CT, spine · sagittal view · Bone window (WL 400, WW 1800) · 210x183 px · part of the image is constant black where the scan was masked
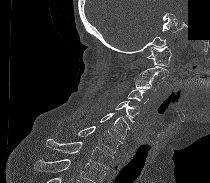 Box edges are left/top/right/bottom in pixels.
Vertebrae that run past the bottom of the scan are left unlabeled.
C1: left=147, top=46, right=171, bottom=66
C2: left=133, top=66, right=168, bottom=78
C3: left=133, top=78, right=159, bottom=90
C4: left=127, top=88, right=148, bottom=103
C5: left=115, top=100, right=139, bottom=123
C6: left=100, top=113, right=130, bottom=139
C7: left=78, top=126, right=122, bottom=152
T1: left=46, top=139, right=113, bottom=169